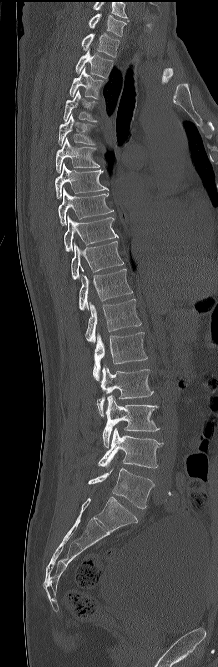 CT, spine. sagittal view. bone window. In the table, x1 and y1 are a box's top-left corner and x2 and y2 its bottom-right corner, in pixels.
The highest labeled vertebra in this scan is C7; the lowest is L5.
| vertebra | x1 | y1 | x2 | y2 |
|---|---|---|---|---|
| C7 | 88 | 14 | 126 | 36 |
| T1 | 82 | 33 | 119 | 57 |
| T2 | 75 | 50 | 113 | 78 |
| T3 | 70 | 67 | 103 | 99 |
| T4 | 63 | 90 | 97 | 121 |
| T5 | 58 | 114 | 95 | 145 |
| T6 | 55 | 137 | 99 | 173 |
| T7 | 55 | 163 | 108 | 198 |
| T8 | 58 | 188 | 113 | 225 |
| T9 | 63 | 216 | 118 | 251 |
| T10 | 71 | 241 | 124 | 279 |
| T11 | 79 | 268 | 132 | 310 |
| T12 | 84 | 299 | 141 | 344 |
| L1 | 93 | 332 | 147 | 380 |
| L2 | 97 | 365 | 153 | 416 |
| L3 | 103 | 395 | 159 | 447 |
| L4 | 98 | 428 | 163 | 468 |
| L5 | 88 | 468 | 154 | 508 |